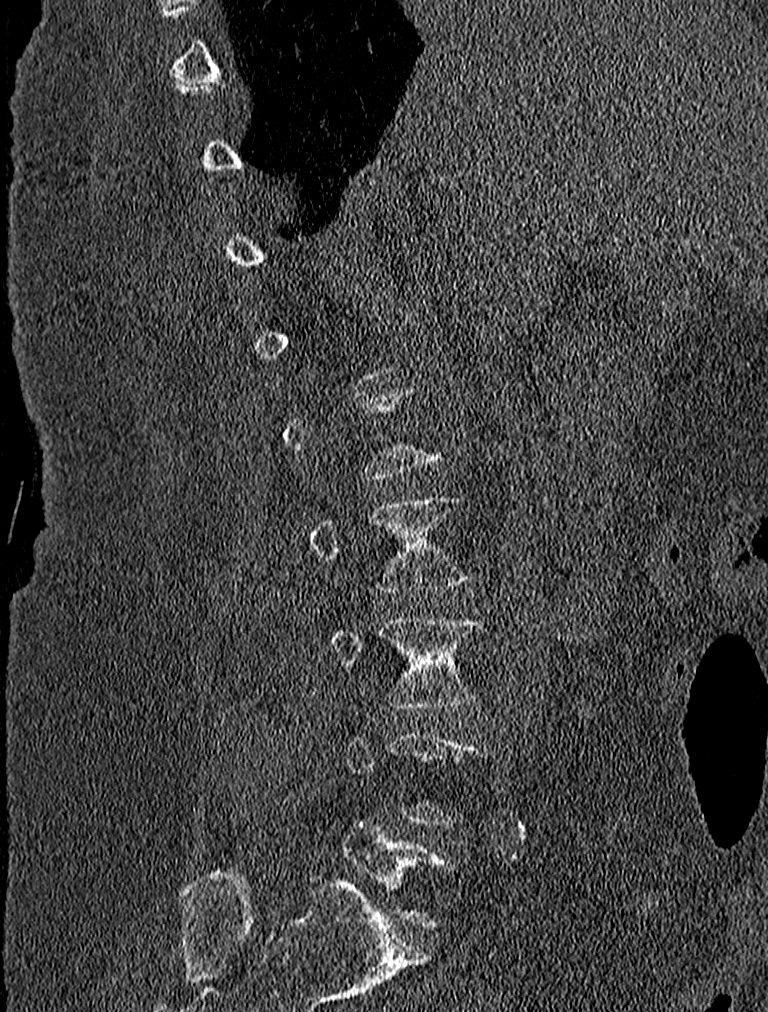
CT · sagittal reformat · W/L 1800/400 HU · 768x1012 px
Each box is [x1, y1, x2, y2] in pixels: top-left corner, then bottom-right corner.
Not every vertebra on this slice has a box: a vertebra is boxed only from the first to the last slice where its cross-section is at least a third of its largest, and this slice is outside that range for at least one of them.
{"vertebrae":{"L3":[330,615,482,708],"L2":[307,495,471,593]}}